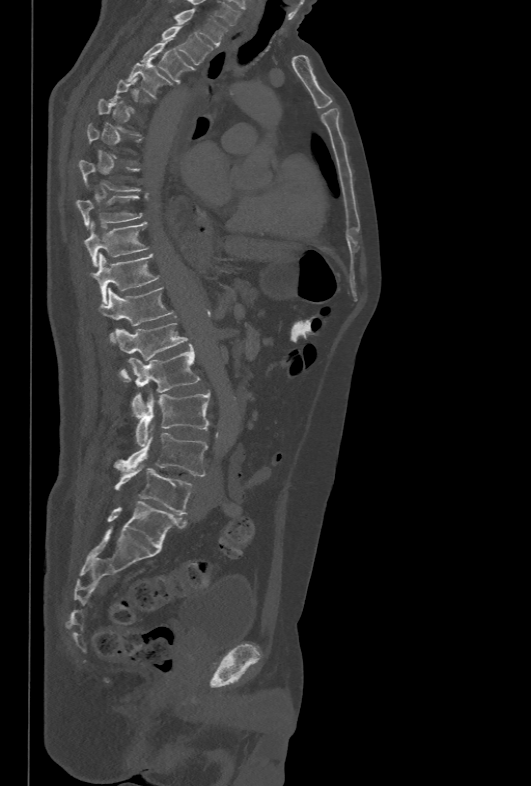

Computed tomography of the spine · sagittal reformat · Bone window (WL 400, WW 1800) · 531x786 px · 478 mm across the image. Box edges are left/top/right/bottom in pixels.
A vertebra is boxed only from the first to the last slice where its cross-section is at least a third of its largest; slices outside that range leave it without a box.
L5: left=114, top=464, right=192, bottom=514
L4: left=114, top=424, right=208, bottom=476
L3: left=136, top=390, right=210, bottom=445
L2: left=129, top=344, right=199, bottom=415
L1: left=116, top=323, right=188, bottom=381
T12: left=98, top=286, right=173, bottom=342
T11: left=90, top=253, right=159, bottom=303
T10: left=83, top=222, right=147, bottom=266
T9: left=76, top=195, right=142, bottom=227
T4: left=126, top=60, right=168, bottom=97
T3: left=141, top=38, right=191, bottom=82
T2: left=161, top=25, right=214, bottom=64
T1: left=174, top=8, right=227, bottom=45